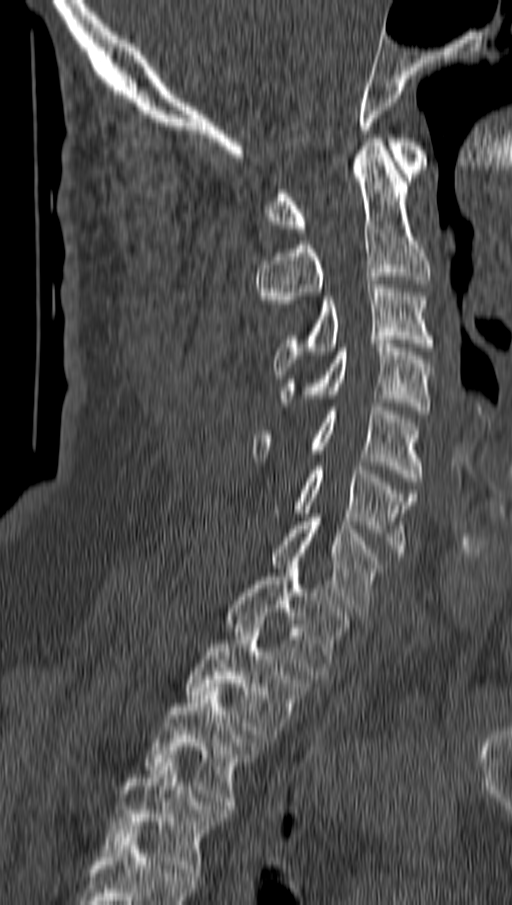
CT spine. sagittal view. bone window. 512x905 px
<vertebrae><v name="T4" x1="102" y1="759" x2="221" y2="876"/><v name="T3" x1="146" y1="687" x2="256" y2="809"/><v name="T2" x1="184" y1="624" x2="307" y2="742"/><v name="T1" x1="225" y1="561" x2="348" y2="679"/><v name="C7" x1="273" y1="518" x2="379" y2="611"/><v name="C6" x1="295" y1="462" x2="417" y2="556"/><v name="C5" x1="253" y1="403" x2="420" y2="485"/><v name="C4" x1="282" y1="340" x2="433" y2="414"/><v name="C3" x1="274" y1="280" x2="433" y2="374"/><v name="C2" x1="257" y1="138" x2="430" y2="315"/><v name="C1" x1="267" y1="138" x2="426" y2="232"/></vertebrae>